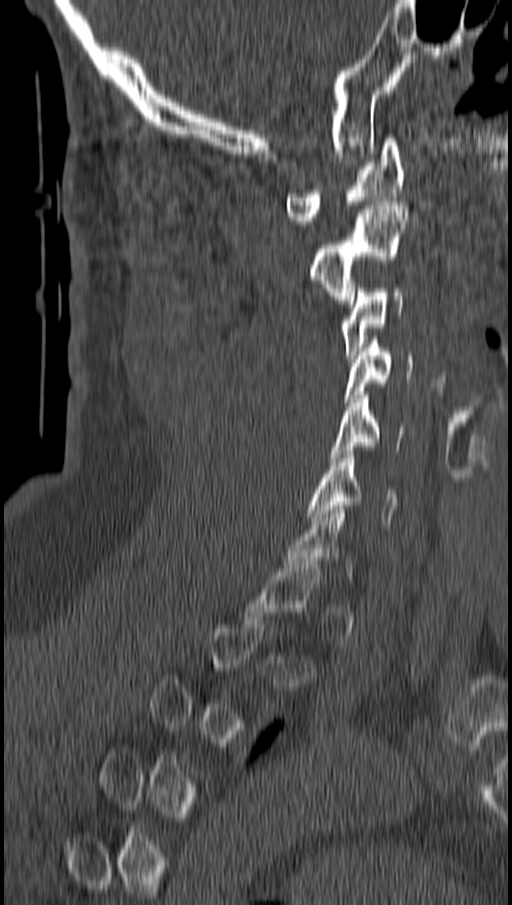
Spine computed tomography; sagittal view

Each box given as x1,y1,x2,y2.
Not every vertebra on this slice has a box: a vertebra is boxed only from the first to the last slice where its cross-section is at least a third of its largest, and this slice is outside that range for at least one of them.
C6: x1=308, y1=450, x2=398, y2=528
C5: x1=330, y1=391, x2=405, y2=461
C4: x1=346, y1=336, x2=411, y2=402
C3: x1=342, y1=284, x2=402, y2=359
C2: x1=311, y1=201, x2=408, y2=303
C1: x1=286, y1=138, x2=405, y2=224